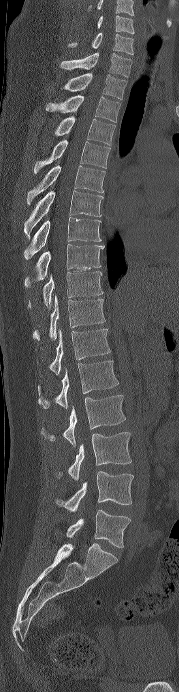

Spine computed tomography · sagittal reformat

Box edges are left/top/right/bottom in pixels.
In this scan, the topmost labeled vertebra is C6 and the lowest is L5.
Vertebra bounding boxes:
- C6: left=97, top=15, right=134, bottom=34
- C7: left=68, top=32, right=133, bottom=55
- T1: left=60, top=52, right=132, bottom=77
- T2: left=63, top=73, right=127, bottom=99
- T3: left=46, top=95, right=120, bottom=122
- T4: left=54, top=116, right=115, bottom=145
- T5: left=34, top=139, right=110, bottom=173
- T6: left=27, top=165, right=105, bottom=204
- T7: left=24, top=191, right=103, bottom=237
- T8: left=24, top=217, right=101, bottom=259
- T9: left=24, top=244, right=104, bottom=287
- T10: left=28, top=271, right=103, bottom=307
- T11: left=32, top=296, right=105, bottom=340
- T12: left=48, top=328, right=110, bottom=374
- L1: left=37, top=360, right=118, bottom=408
- L2: left=40, top=395, right=125, bottom=446
- L3: left=55, top=432, right=131, bottom=480
- L4: left=55, top=471, right=133, bottom=511
- L5: left=66, top=510, right=130, bottom=548